CT, spine · sagittal view · W/L 1800/400 HU · 512x694 px
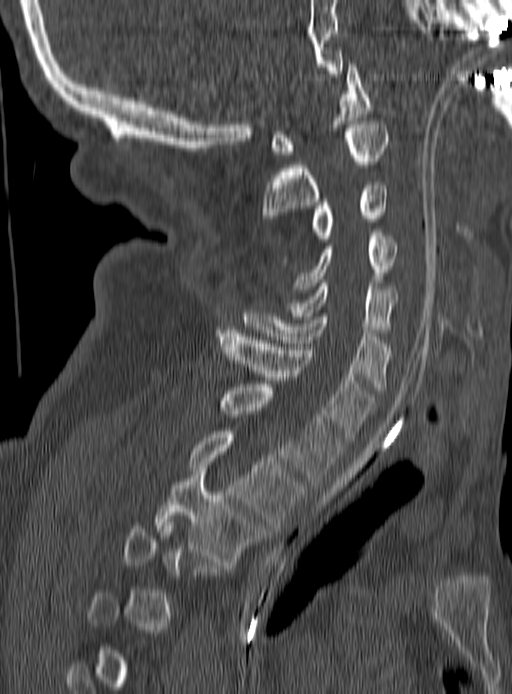

Each box given as x1,y1,x2,y2.
Each vertebra is boxed only on the slices from the first to the last where its cross-section reaches a third of its largest, so a slice outside that range leaves it unboxed.
C1: x1=270, y1=64, x2=370, y2=154
C2: x1=262, y1=121, x2=388, y2=221
C3: x1=280, y1=182, x2=388, y2=265
C4: x1=291, y1=232, x2=396, y2=292
C5: x1=289, y1=283, x2=396, y2=332
C6: x1=243, y1=310, x2=392, y2=390
C7: x1=216, y1=330, x2=374, y2=440
T1: x1=219, y1=384, x2=342, y2=484
T2: x1=189, y1=431, x2=304, y2=528
T3: x1=154, y1=472, x2=264, y2=565